CT, spine. sagittal reformat. bone window. 190 mm image width. 12 vertebrae labeled in this scan
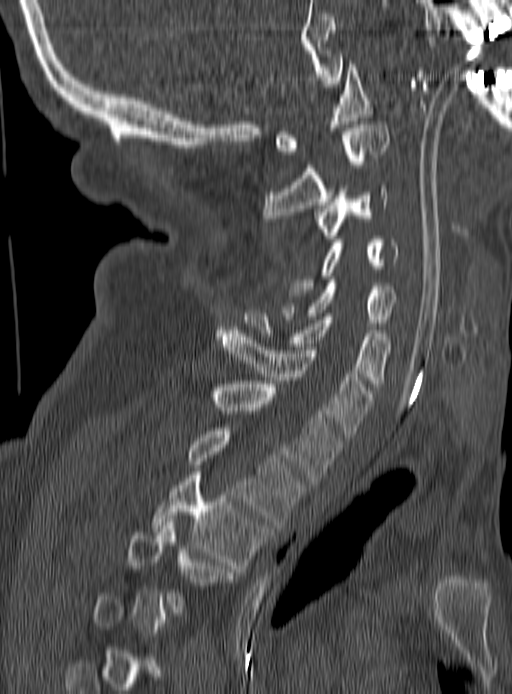 Each box given as x1,y1,x2,y2.
A vertebra is boxed only from the first to the last slice where its cross-section is at least a third of its largest; slices outside that range leave it without a box.
Vertebra bounding boxes:
- C1: x1=276, y1=64, x2=372, y2=154
- C2: x1=262, y1=121, x2=388, y2=221
- C3: x1=316, y1=185, x2=388, y2=242
- C4: x1=289, y1=236, x2=398, y2=299
- C5: x1=283, y1=283, x2=396, y2=326
- C6: x1=243, y1=310, x2=390, y2=386
- C7: x1=216, y1=330, x2=372, y2=437
- T1: x1=214, y1=381, x2=342, y2=484
- T2: x1=189, y1=428, x2=304, y2=528
- T3: x1=152, y1=472, x2=267, y2=568
- T4: x1=128, y1=519, x2=234, y2=612